Spine CT · sagittal view
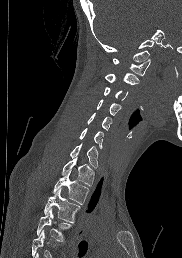

Boxes are (x1, y1, x2, y2) in pixels.
Where the bottom of the scan cuts through a vertebra, that vertebra gets no label or box.
Vertebra bounding boxes:
- T4: (36, 208, 71, 241)
- T3: (44, 188, 80, 222)
- T2: (53, 170, 89, 204)
- T1: (61, 157, 94, 185)
- C7: (70, 143, 98, 167)
- C6: (79, 128, 103, 148)
- C5: (87, 113, 111, 130)
- C4: (96, 99, 120, 115)
- C3: (103, 87, 128, 100)
- C2: (105, 73, 138, 85)
- C1: (113, 58, 150, 75)